Spine CT · sagittal plane, index 24 · bone window · 459x459 px · scan covers 16 annotated vertebrae
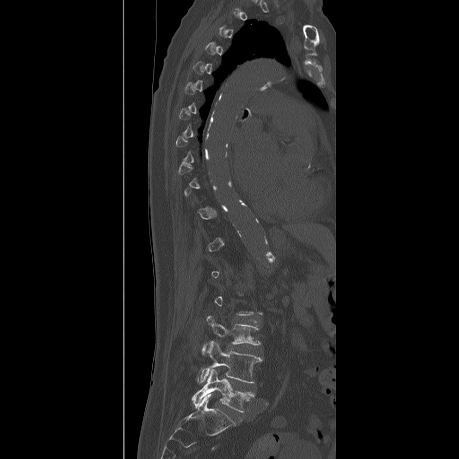 Not every vertebra on this slice has a box: a vertebra is boxed only from the first to the last slice where its cross-section is at least a third of its largest, and this slice is outside that range for at least one of them.
<vertebrae><v name="L5" x1="192" y1="369" x2="253" y2="412"/><v name="L4" x1="198" y1="341" x2="261" y2="383"/><v name="L3" x1="202" y1="316" x2="260" y2="353"/></vertebrae>